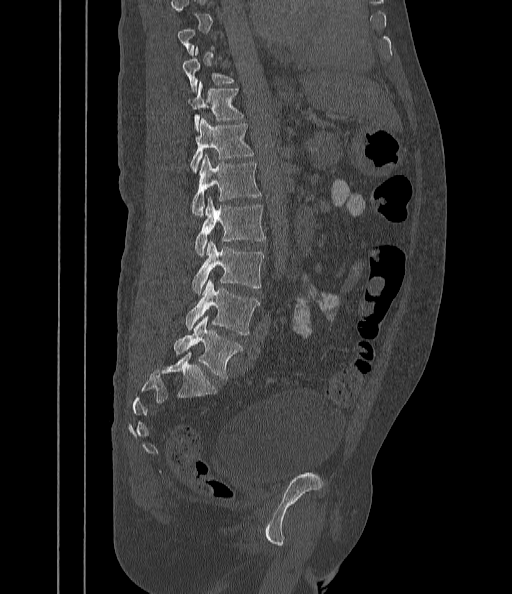

Computed tomography of the spine. sagittal view. 512x594 px. image width 442 mm
Boxes are (x1, y1, x2, y2) in pixels.
Not every vertebra on this slice has a box: a vertebra is boxed only from the first to the last slice where its cross-section is at least a third of its largest, and this slice is outside that range for at least one of them.
T11: (189, 82, 243, 129)
T12: (190, 118, 254, 171)
L1: (192, 155, 261, 216)
L2: (195, 196, 265, 256)
L3: (192, 242, 264, 294)
L4: (185, 280, 260, 334)
L5: (174, 316, 242, 380)